CT, spine — 412 mm wide — Sagittal slice 275/512
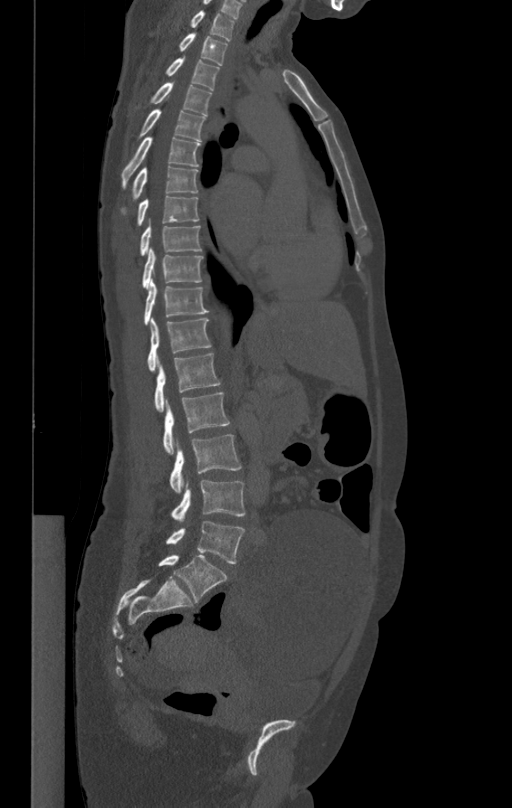
Box edges are left/top/right/bottom in pixels.
L5: left=165, top=520, right=244, bottom=563
L4: left=170, top=480, right=245, bottom=520
L3: left=169, top=435, right=241, bottom=492
L2: left=163, top=393, right=230, bottom=453
L1: left=154, top=352, right=220, bottom=412
T12: left=147, top=318, right=211, bottom=371
T11: left=144, top=280, right=208, bottom=323
T10: left=142, top=248, right=203, bottom=288
T9: left=139, top=225, right=201, bottom=254
T8: left=137, top=196, right=199, bottom=225
T7: left=120, top=167, right=198, bottom=214
T6: left=122, top=136, right=200, bottom=188
T5: left=138, top=110, right=205, bottom=140
T4: left=150, top=82, right=211, bottom=115
T3: left=166, top=57, right=219, bottom=90
T2: left=179, top=32, right=228, bottom=65
T1: left=190, top=10, right=235, bottom=39